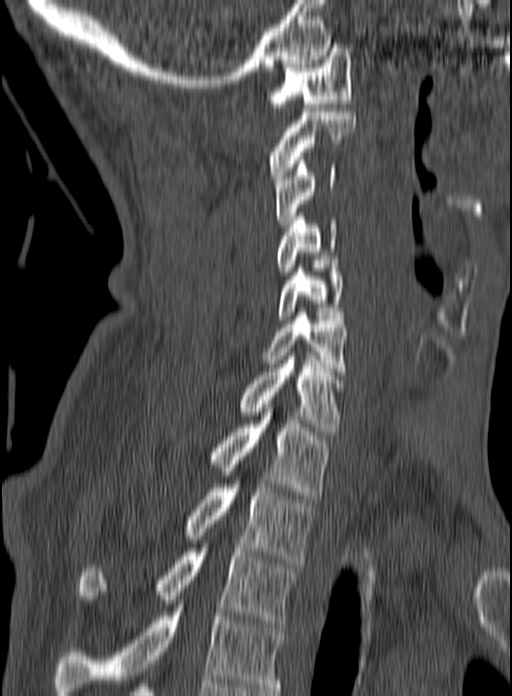

Computed tomography of the spine — sagittal view
Boxes are (x1, y1, x2, y2) in pixels.
Labels in this scan begin with C1 at the top and end with T3 at the bottom.
T3: (78, 548, 298, 627)
T2: (184, 472, 314, 563)
T1: (209, 404, 331, 499)
C7: (238, 356, 343, 435)
C6: (263, 308, 347, 379)
C5: (278, 264, 344, 319)
C4: (276, 212, 337, 275)
C3: (275, 156, 335, 231)
C2: (267, 112, 355, 179)
C1: (267, 48, 352, 111)